Computed tomography of the spine; sagittal reformat; bone window
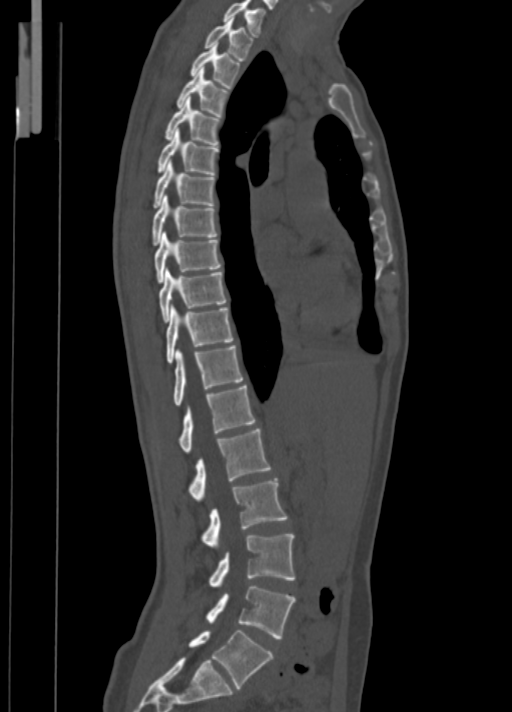
Bounding boxes as [x1, y1, x2, y2] in pixel coordinates. 18 vertebrae labeled — C7 at [224, 0, 266, 36]; T1 at [205, 18, 252, 60]; T2 at [190, 42, 240, 88]; T3 at [177, 66, 228, 116]; T4 at [165, 98, 220, 145]; T5 at [157, 129, 218, 175]; T6 at [153, 161, 214, 208]; T7 at [152, 195, 217, 245]; T8 at [155, 231, 220, 283]; T9 at [159, 268, 226, 322]; T10 at [167, 304, 233, 363]; T11 at [172, 345, 243, 406]; T12 at [180, 385, 255, 454]; L1 at [188, 429, 271, 502]; L2 at [202, 478, 287, 549]; L3 at [209, 534, 294, 587]; L4 at [206, 585, 296, 638]; L5 at [188, 629, 272, 688].